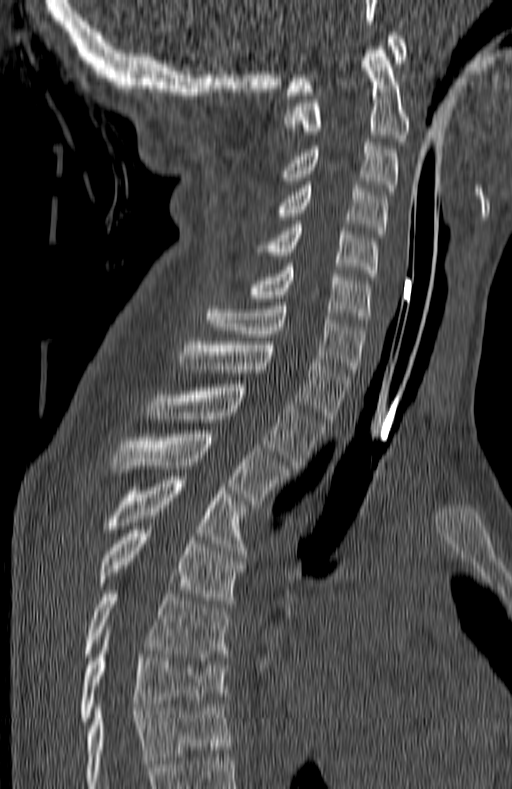 CT spine — sagittal view

Boxes are given in columns x1, y1, x2, y2, the pixel coordinates of their top-left and bottom-right corners.
This scan's labels start at C1 at the top and end at T7 at the bottom.
| vertebra | x1 | y1 | x2 | y2 |
|---|---|---|---|---|
| C1 | 285 | 32 | 406 | 95 |
| C2 | 285 | 46 | 410 | 141 |
| C3 | 277 | 142 | 398 | 191 |
| C4 | 265 | 185 | 387 | 234 |
| C5 | 254 | 224 | 378 | 276 |
| C6 | 248 | 267 | 370 | 323 |
| C7 | 206 | 306 | 364 | 372 |
| T1 | 180 | 341 | 350 | 419 |
| T2 | 146 | 384 | 324 | 468 |
| T3 | 109 | 430 | 287 | 504 |
| T4 | 100 | 476 | 245 | 554 |
| T5 | 95 | 526 | 242 | 603 |
| T6 | 83 | 590 | 230 | 660 |
| T7 | 78 | 640 | 227 | 724 |